Computed tomography of the spine; sagittal plane, index 104; scan covers 21 annotated vertebrae
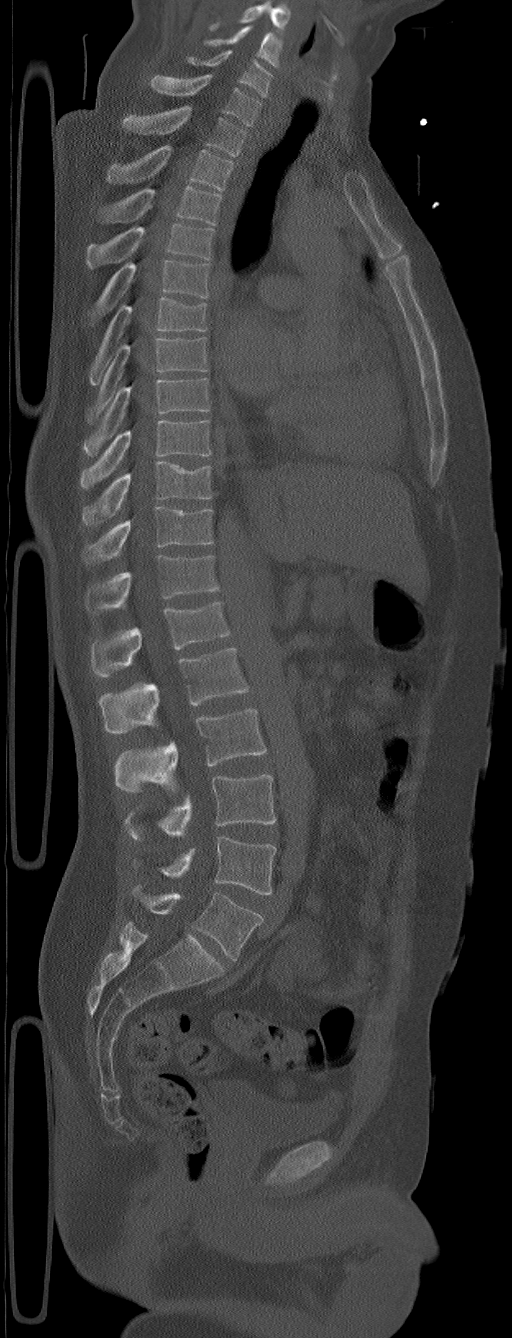

Boxes are (x1, y1, x2, y2) in pixels.
Labels in this scan begin with C5 at the top and end with L6 at the bottom.
The labels name a sixth lumbar vertebra for this spine: L6, after L5.
Vertebra bounding boxes:
- C5: (204, 26, 282, 68)
- C6: (187, 50, 273, 97)
- C7: (150, 74, 261, 125)
- T1: (123, 106, 246, 155)
- T2: (106, 145, 233, 191)
- T3: (101, 185, 221, 224)
- T4: (86, 224, 214, 268)
- T5: (91, 259, 209, 323)
- T6: (89, 297, 207, 384)
- T7: (84, 338, 207, 424)
- T8: (83, 378, 209, 456)
- T9: (79, 420, 211, 488)
- T10: (83, 460, 213, 525)
- T11: (83, 506, 213, 563)
- T12: (84, 554, 219, 614)
- L1: (91, 601, 231, 676)
- L2: (99, 648, 249, 733)
- L3: (114, 709, 266, 793)
- L4: (125, 774, 276, 840)
- L5: (133, 836, 276, 894)
- L6: (133, 887, 263, 960)